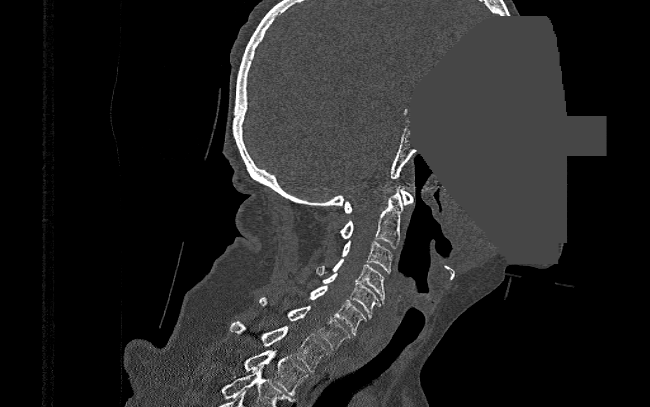 CT — sagittal reformat — Bone window (WL 400, WW 1800) — 650x407 px — the image spans 390 mm across — a region is masked with a constant gray value. Boxes: x1:y1:x2:y2 in pixels.
C1: 343:188:414:213
C2: 340:190:404:248
C3: 342:240:393:273
C4: 316:259:384:303
C5: 321:273:380:319
C6: 309:285:366:335
C7: 260:296:351:349
T1: 229:321:327:371
T2: 244:350:308:395